Spine computed tomography — Sagittal slice 34/57 — Bone window (WL 400, WW 1800) — 6 vertebrae labeled in this scan
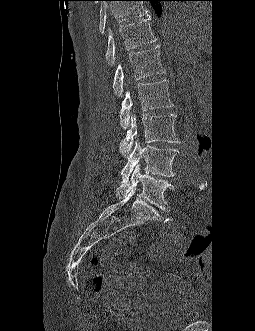
Boxes are given in columns x1, y1, x2, y2, the pixel coordinates of their top-left and bottom-right corners.
Where the top of the scan cuts through a vertebra, that vertebra gets no label or box.
| vertebra | x1 | y1 | x2 | y2 |
|---|---|---|---|---|
| L5 | 116 | 163 | 174 | 210 |
| L4 | 121 | 140 | 179 | 183 |
| L3 | 120 | 114 | 179 | 156 |
| L2 | 119 | 79 | 173 | 129 |
| L1 | 112 | 45 | 165 | 96 |
| T12 | 105 | 18 | 156 | 65 |